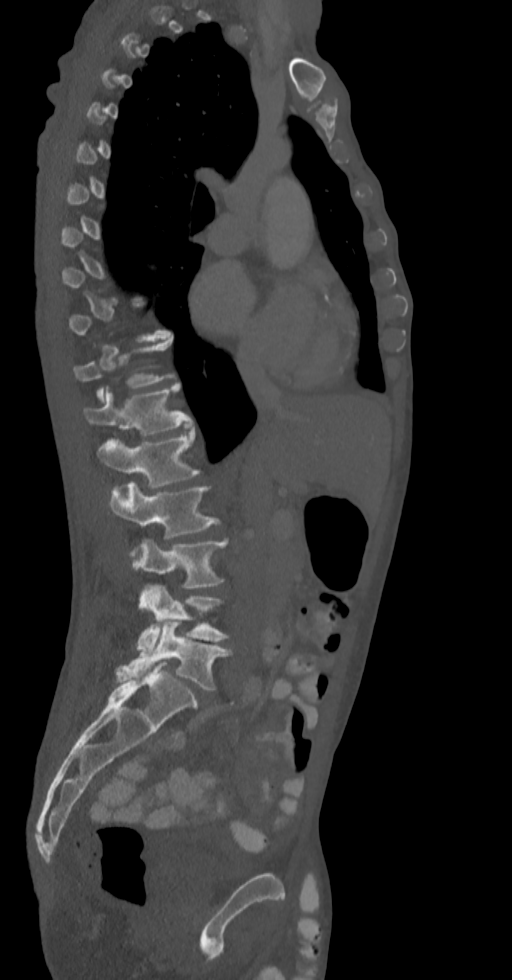

CT — sagittal view — bone-window reconstruction — the image is 336 mm wide — 512x980 px
Box edges are left/top/right/bottom in pixels. Not every vertebra on this slice has a box: a vertebra is boxed only from the first to the last slice where its cross-section is at least a third of its largest, and this slice is outside that range for at least one of them. The labeled vertebrae in this slice are: T11 at left=74, top=338, right=175, bottom=403, T12 at left=84, top=384, right=192, bottom=436, L1 at left=97, top=431, right=200, bottom=488, L2 at left=111, top=482, right=218, bottom=566, L3 at left=138, top=538, right=227, bottom=589, L4 at left=137, top=584, right=229, bottom=654, L5 at left=118, top=622, right=230, bottom=691.